Computed tomography of the spine · sagittal reformat · 512x709 px
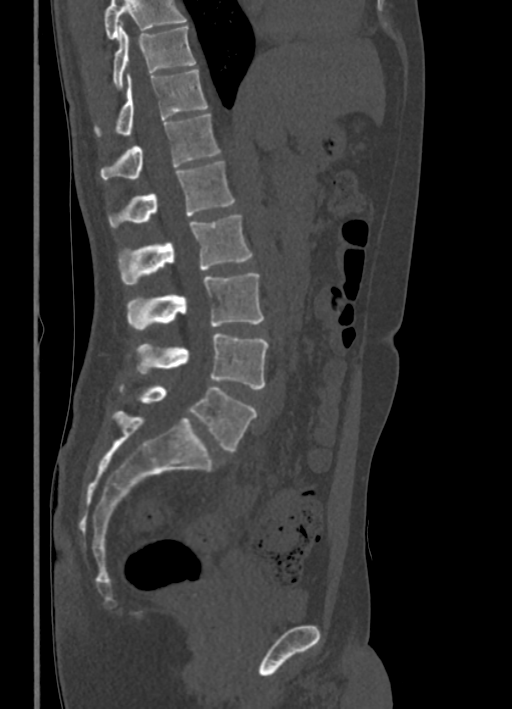

In the table, x1 and y1 are a box's top-left corner and x2 and y2 its bottom-right corner, in pixels.
No box is given to a vertebra that the top edge of the scan cuts off.
| vertebra | x1 | y1 | x2 | y2 |
|---|---|---|---|---|
| L5 | 140 | 387 | 256 | 451 |
| L4 | 136 | 334 | 269 | 389 |
| L3 | 128 | 273 | 264 | 330 |
| L2 | 118 | 215 | 252 | 284 |
| L1 | 109 | 160 | 235 | 226 |
| T12 | 100 | 112 | 220 | 178 |
| T11 | 96 | 68 | 208 | 134 |
| T10 | 113 | 26 | 195 | 87 |